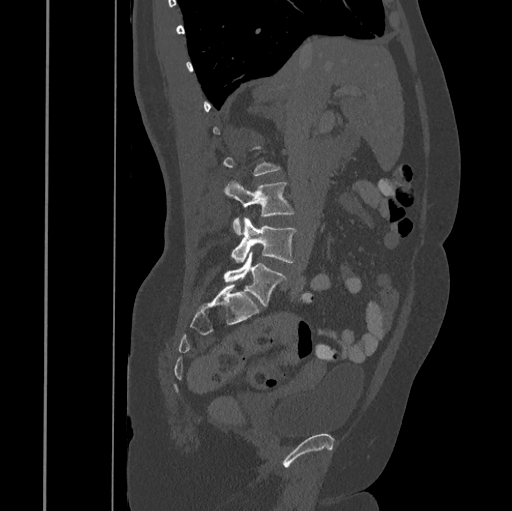
CT spine — sagittal reformat — image width 445 mm — 512x511 px
Boxes: x1:y1:x2:y2 in pixels.
Not every vertebra on this slice has a box: a vertebra is boxed only from the first to the last slice where its cross-section is at least a third of its largest, and this slice is outside that range for at least one of them.
Vertebra bounding boxes:
- L3: 224:180:295:235
- L4: 231:218:297:262
- L5: 223:252:287:306